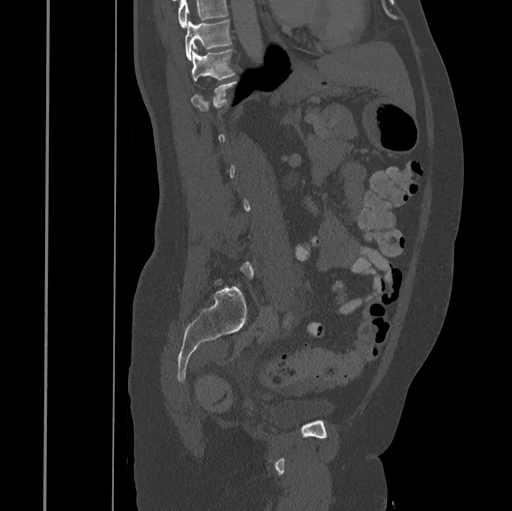

Spine CT. sagittal view. Bone window (WL 400, WW 1800). 445 mm wide. 512x511 px
Each vertebra is boxed only on the slices from the first to the last where its cross-section reaches a third of its largest, so a slice outside that range leaves it unboxed.
A vertebra cut off by the top edge of the scan is not labeled and has no box.
<vertebrae><v name="T11" x1="191" y1="50" x2="235" y2="81"/><v name="T10" x1="185" y1="20" x2="230" y2="60"/></vertebrae>